CT; sagittal plane, index 338; W/L 1800/400 HU; 10 vertebrae labeled in this scan; 165 mm across the image
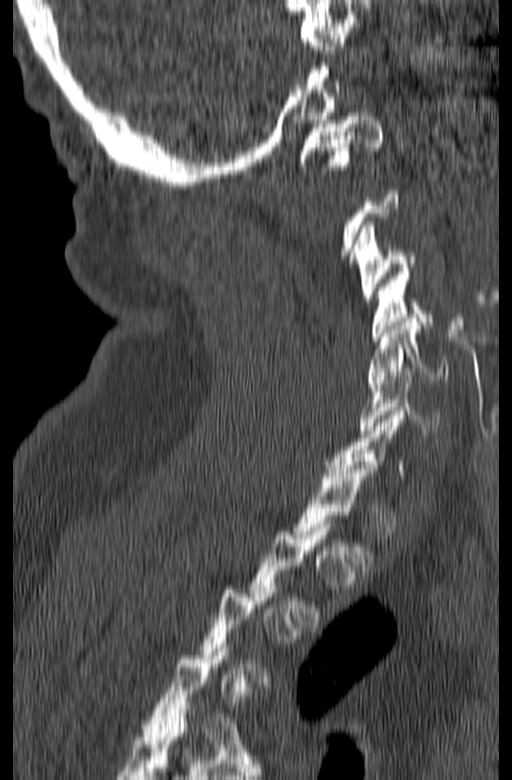

A vertebra is boxed only from the first to the last slice where its cross-section is at least a third of its largest; slices outside that range leave it without a box.
<vertebrae><v name="C6" x1="358" y1="368" x2="439" y2="433"/><v name="C5" x1="367" y1="318" x2="447" y2="387"/><v name="C4" x1="370" y1="268" x2="434" y2="340"/><v name="C3" x1="352" y1="221" x2="416" y2="302"/><v name="C1" x1="299" y1="109" x2="384" y2="174"/></vertebrae>